Spine CT — Sagittal slice 154/369 — bone-window reconstruction — 369x669 px
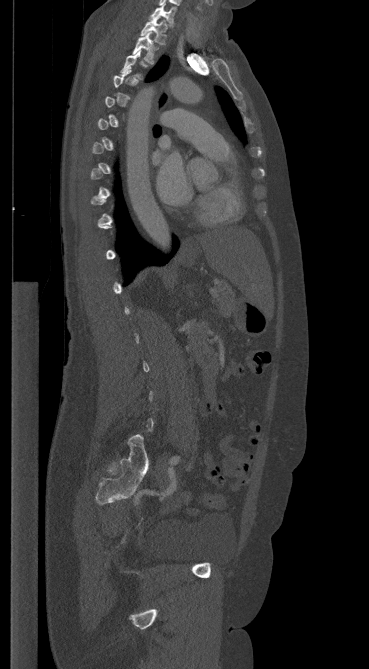 Columns x1, y1, x2, y2 give each box's top-left and bottom-right pixels.
A vertebra is boxed only from the first to the last slice where its cross-section is at least a third of its largest; slices outside that range leave it without a box.
| vertebra | x1 | y1 | x2 | y2 |
|---|---|---|---|---|
| T3 | 121 | 50 | 143 | 78 |
| T2 | 132 | 32 | 158 | 63 |
| T1 | 141 | 18 | 166 | 44 |
| C7 | 150 | 5 | 176 | 26 |